Computed tomography of the spine — Sagittal slice 265/512 — Bone window (WL 400, WW 1800)
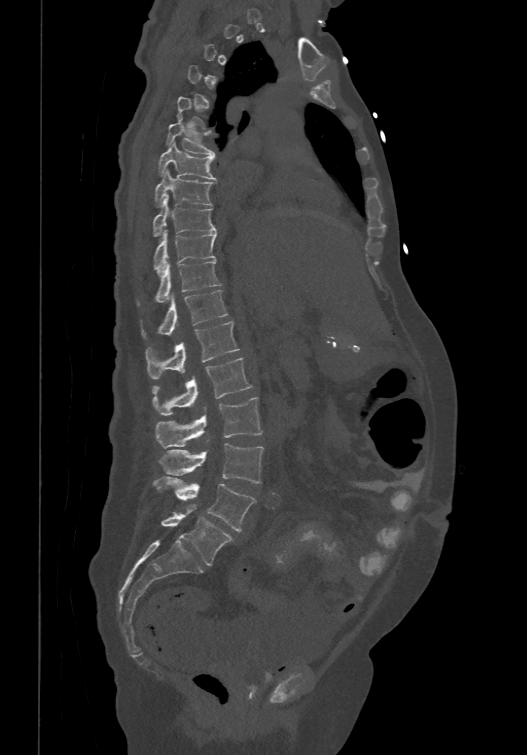 Box edges are left/top/right/bottom in pixels.
A vertebra gets a box only on the slices from the first to the last where its cross-section is at least a third of its largest; on a slice outside that range it gets none.
These labels give the spine a sixth lumbar vertebra, L6, below L5.
| vertebra | x1 | y1 | x2 | y2 |
|---|---|---|---|---|
| T6 | 166 | 115 | 215 | 156 |
| T7 | 157 | 141 | 216 | 179 |
| T8 | 154 | 168 | 215 | 205 |
| T9 | 152 | 194 | 216 | 235 |
| T10 | 153 | 228 | 217 | 272 |
| T11 | 137 | 260 | 221 | 304 |
| T12 | 141 | 288 | 227 | 337 |
| L1 | 145 | 320 | 239 | 378 |
| L2 | 152 | 356 | 252 | 415 |
| L3 | 155 | 397 | 262 | 447 |
| L4 | 158 | 443 | 263 | 483 |
| L5 | 153 | 477 | 255 | 531 |
| L6 | 160 | 510 | 234 | 565 |